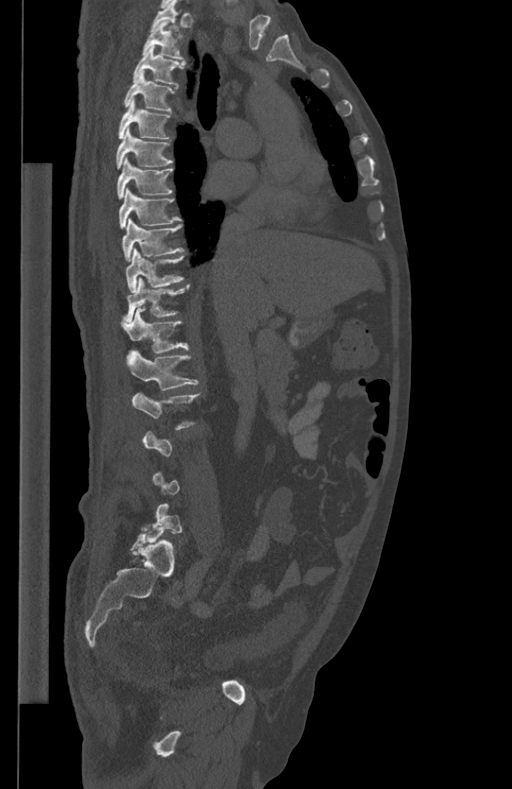
CT, spine · sagittal reformat · bone-window reconstruction · 512x789 px
Each vertebra maps to its box as [x1, y1, x2, y2], the pixel coordinates of its top-left and bottom-right corners.
Each vertebra is boxed only on the slices from the first to the last where its cross-section reaches a third of its largest, so a slice outside that range leaves it unboxed.
{"vertebrae":{"T1":[150,0,182,32],"T2":[143,21,183,58],"T3":[133,47,185,84],"T4":[124,70,177,110],"T5":[118,99,171,139],"T6":[116,128,172,169],"T7":[117,157,172,200],"T8":[119,188,181,228],"T9":[121,218,184,260],"T10":[126,248,184,292],"T11":[123,278,190,322],"T12":[121,307,189,353],"L1":[126,350,197,391],"L2":[132,393,199,429]}}